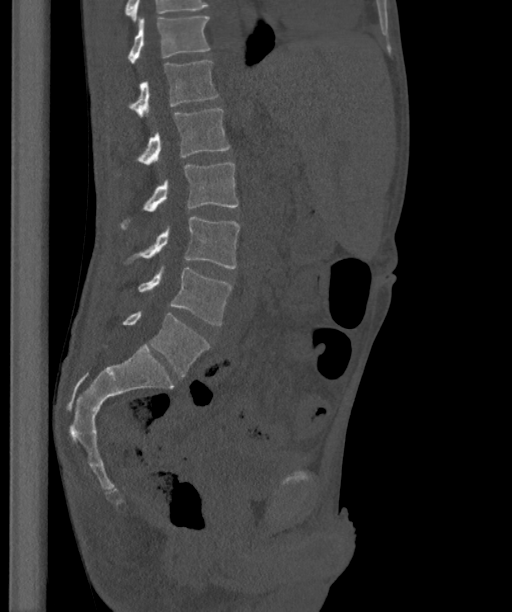
CT spine. sagittal view. 512x612 px
Each box given as x1,y1,x2,y2.
In this scan, the topmost labeled vertebra is T12 and the lowest is L6.
These labels give the spine a sixth lumbar vertebra, L6, below L5.
| vertebra | x1 | y1 | x2 | y2 |
|---|---|---|---|---|
| L6 | 123 | 311 | 209 | 377 |
| L5 | 138 | 267 | 232 | 324 |
| L4 | 130 | 217 | 239 | 268 |
| L3 | 121 | 162 | 239 | 229 |
| L2 | 138 | 108 | 230 | 165 |
| L1 | 130 | 61 | 217 | 118 |
| T12 | 128 | 15 | 209 | 64 |